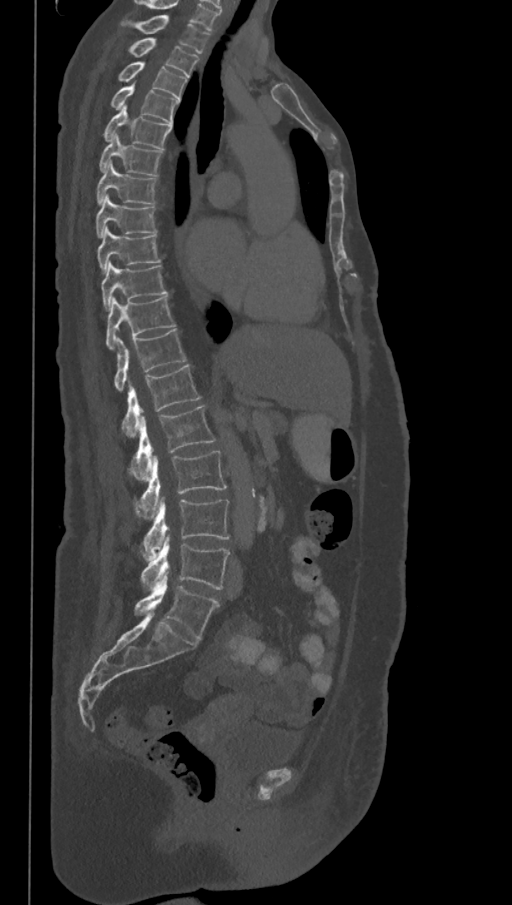

CT. sagittal view. image width 368 mm. bone-window reconstruction
The highest labeled vertebra in this scan is T1; the lowest is L6.
These labels give the spine a sixth lumbar vertebra, L6, below L5.
<vertebrae><v name="T1" x1="133" y1="15" x2="209" y2="53"/><v name="T2" x1="129" y1="38" x2="198" y2="77"/><v name="T3" x1="118" y1="61" x2="187" y2="99"/><v name="T4" x1="111" y1="81" x2="180" y2="124"/><v name="T5" x1="103" y1="105" x2="171" y2="149"/><v name="T6" x1="99" y1="133" x2="162" y2="176"/><v name="T7" x1="96" y1="162" x2="156" y2="204"/><v name="T8" x1="96" y1="194" x2="156" y2="238"/><v name="T9" x1="97" y1="227" x2="160" y2="273"/><v name="T10" x1="101" y1="262" x2="167" y2="311"/><v name="T11" x1="106" y1="296" x2="174" y2="350"/><v name="T12" x1="114" y1="329" x2="185" y2="391"/><v name="L1" x1="122" y1="364" x2="201" y2="437"/><v name="L2" x1="129" y1="406" x2="214" y2="480"/><v name="L3" x1="135" y1="451" x2="227" y2="519"/><v name="L4" x1="142" y1="496" x2="228" y2="561"/><v name="L5" x1="140" y1="536" x2="230" y2="590"/><v name="L6" x1="135" y1="571" x2="219" y2="640"/></vertebrae>